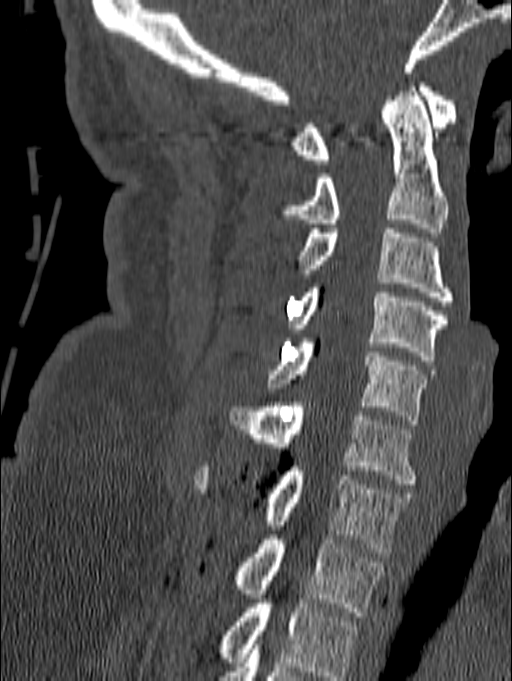
CT; sagittal reformat; W/L 1800/400 HU; 512x681 px
Each box given as x1,y1,x2,y2. In this scan, the topmost labeled vertebra is C1 and the lowest is T1. 8 vertebrae labeled — C1 at x1=290, y1=78, x2=456, y2=164; C2 at x1=279, y1=82, x2=447, y2=232; C3 at x1=298, y1=229, x2=454, y2=305; C4 at x1=290, y1=283, x2=447, y2=360; C5 at x1=268, y1=338, x2=434, y2=424; C6 at x1=230, y1=402, x2=417, y2=484; C7 at x1=195, y1=466, x2=414, y2=557; T1 at x1=232, y1=535, x2=384, y2=616.